CT spine — Sagittal slice 286/512 — image width 384 mm — Bone window (WL 400, WW 1800) — scan covers 10 annotated vertebrae
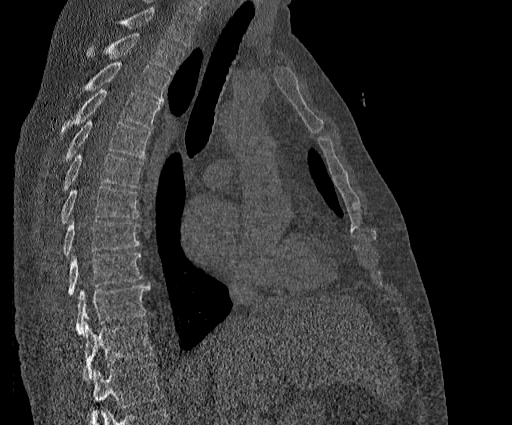
Each vertebra maps to its box as [x1, y1, x2, y2], the pixel coordinates of its top-left and bottom-right corners.
Vertebrae that run past the top of the scan are left unlabeled.
This scan's labels start at T2 at the top and end at T11 at the bottom.
{"vertebrae":{"T11":[82,323,153,380],"T10":[74,285,149,334],"T9":[66,252,141,296],"T8":[61,220,139,256],"T7":[60,187,139,223],"T6":[60,153,143,194],"T5":[52,120,149,174],"T4":[60,89,160,138],"T3":[74,63,171,100],"T2":[85,33,184,74]}}